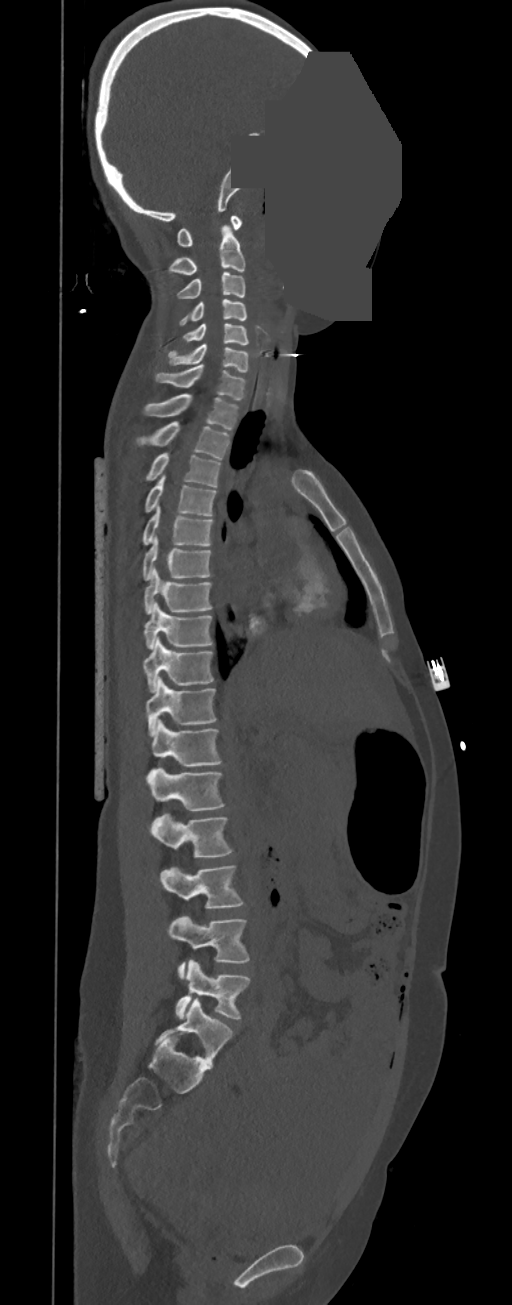
CT; sagittal view; bone-window reconstruction; 512x1305 px; a uniform gray block covers part of the image
These labels give this spine no T12: after T11 the next vertebra is L1.
<vertebrae><v name="C1" x1="177" y1="216" x2="242" y2="247"/><v name="C2" x1="168" y1="225" x2="245" y2="274"/><v name="C3" x1="177" y1="271" x2="245" y2="299"/><v name="C4" x1="179" y1="299" x2="246" y2="326"/><v name="C5" x1="183" y1="323" x2="248" y2="344"/><v name="C6" x1="168" y1="344" x2="248" y2="372"/><v name="C7" x1="156" y1="365" x2="246" y2="401"/><v name="T1" x1="145" y1="394" x2="237" y2="430"/><v name="T2" x1="136" y1="421" x2="230" y2="460"/><v name="T3" x1="145" y1="453" x2="221" y2="487"/><v name="T4" x1="145" y1="474" x2="217" y2="516"/><v name="T5" x1="142" y1="504" x2="214" y2="545"/><v name="T6" x1="142" y1="535" x2="211" y2="580"/><v name="T7" x1="143" y1="567" x2="212" y2="614"/><v name="T8" x1="143" y1="602" x2="212" y2="649"/><v name="T9" x1="143" y1="637" x2="214" y2="693"/><v name="T10" x1="146" y1="677" x2="217" y2="736"/><v name="T11" x1="152" y1="720" x2="223" y2="767"/><v name="L1" x1="147" y1="766" x2="226" y2="811"/><v name="L2" x1="150" y1="814" x2="233" y2="857"/><v name="L3" x1="160" y1="865" x2="243" y2="907"/><v name="L4" x1="168" y1="916" x2="249" y2="979"/><v name="L5" x1="175" y1="960" x2="250" y2="1018"/></vertebrae>